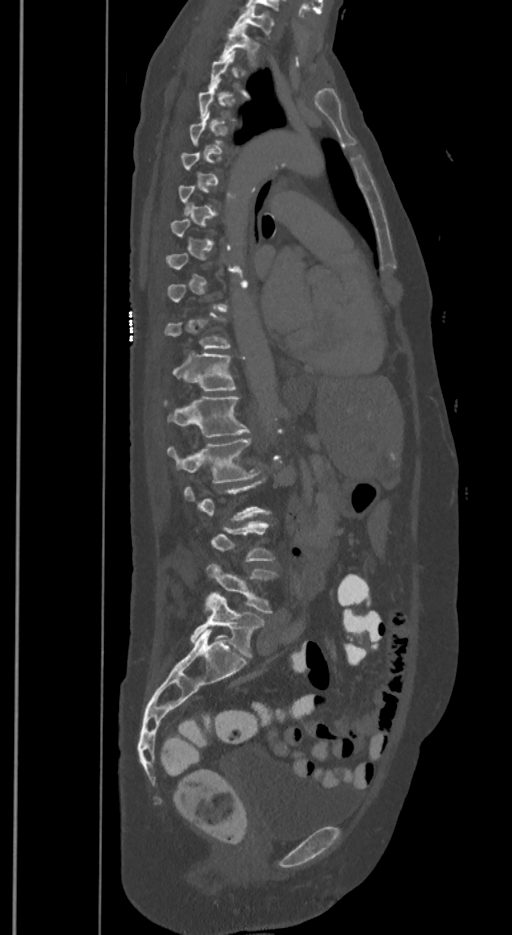

Spine computed tomography — sagittal view — Bone window (WL 400, WW 1800) — 350 mm image width. Each box given as x1,y1,x2,y2.
A vertebra is boxed only from the first to the last slice where its cross-section is at least a third of its largest; slices outside that range leave it without a box.
The labels name a sixth lumbar vertebra for this spine: L6, after L5.
T1: x1=232, y1=7, x2=274, y2=35
T2: x1=221, y1=26, x2=256, y2=65
T12: x1=172, y1=353, x2=236, y2=391
L1: x1=169, y1=396, x2=249, y2=436
L2: x1=167, y1=438, x2=258, y2=483
L5: x1=206, y1=565, x2=275, y2=613
L6: x1=191, y1=592, x2=264, y2=657